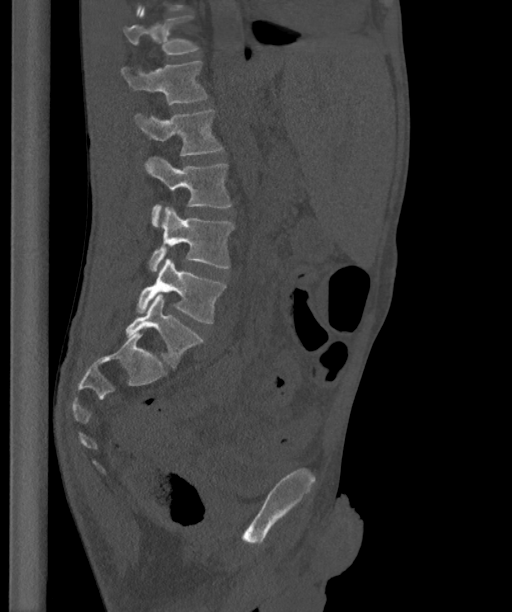

Spine CT. sagittal view. W/L 1800/400 HU
Boxes: x1:y1:x2:y2 in pixels.
In these labels the spine has an L6, a sixth lumbar vertebra below L5.
L6: 125:295:203:368
L5: 136:258:226:323
L4: 149:207:234:271
L3: 145:156:232:226
L2: 135:108:223:155
L1: 120:61:209:104
T12: 124:8:199:54